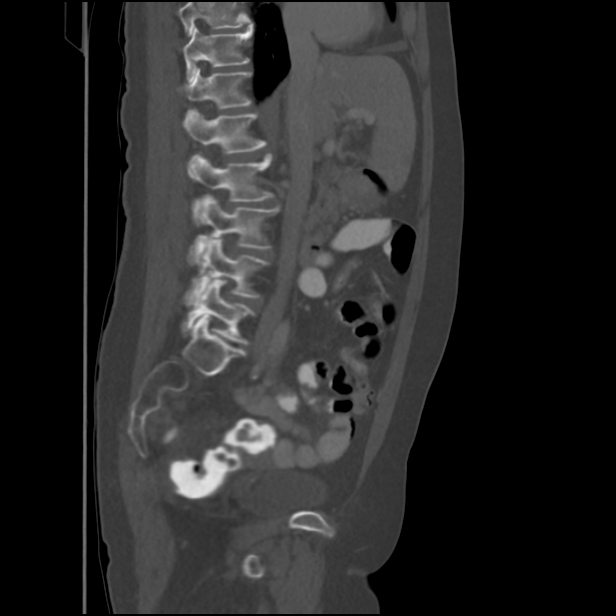
Computed tomography of the spine · sagittal view · bone-window reconstruction · 616x616 px

Columns x1, y1, x2, y2 give each box's top-left and bottom-right pixels.
Vertebrae that run past the top of the scan are left unlabeled.
| vertebra | x1 | y1 | x2 | y2 |
|---|---|---|---|---|
| L5 | 182 | 280 | 254 | 344 |
| L4 | 185 | 237 | 269 | 305 |
| L3 | 194 | 195 | 279 | 260 |
| L2 | 188 | 154 | 273 | 223 |
| L1 | 182 | 110 | 266 | 153 |
| T12 | 183 | 69 | 251 | 109 |
| T11 | 182 | 26 | 252 | 82 |